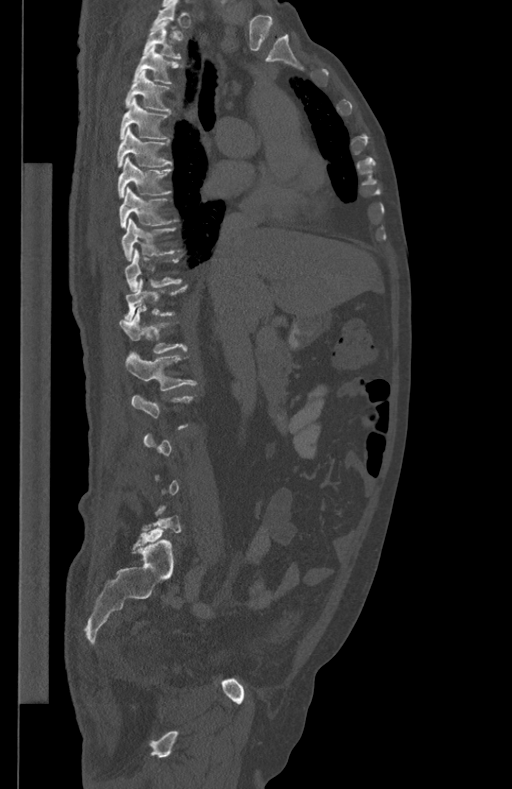 Computed tomography of the spine. sagittal reformat. Box edges are left/top/right/bottom in pixels.
Not every vertebra on this slice has a box: a vertebra is boxed only from the first to the last slice where its cross-section is at least a third of its largest, and this slice is outside that range for at least one of them.
| vertebra | x1 | y1 | x2 | y2 |
|---|---|---|---|---|
| L1 | 125 | 353 | 196 | 391 |
| T12 | 120 | 306 | 186 | 353 |
| T11 | 125 | 279 | 186 | 321 |
| T10 | 124 | 248 | 181 | 290 |
| T9 | 121 | 218 | 175 | 260 |
| T8 | 119 | 187 | 179 | 227 |
| T7 | 118 | 156 | 171 | 196 |
| T6 | 117 | 127 | 171 | 168 |
| T5 | 120 | 98 | 171 | 139 |
| T4 | 125 | 70 | 170 | 110 |
| T3 | 133 | 46 | 178 | 84 |
| T2 | 143 | 20 | 181 | 58 |